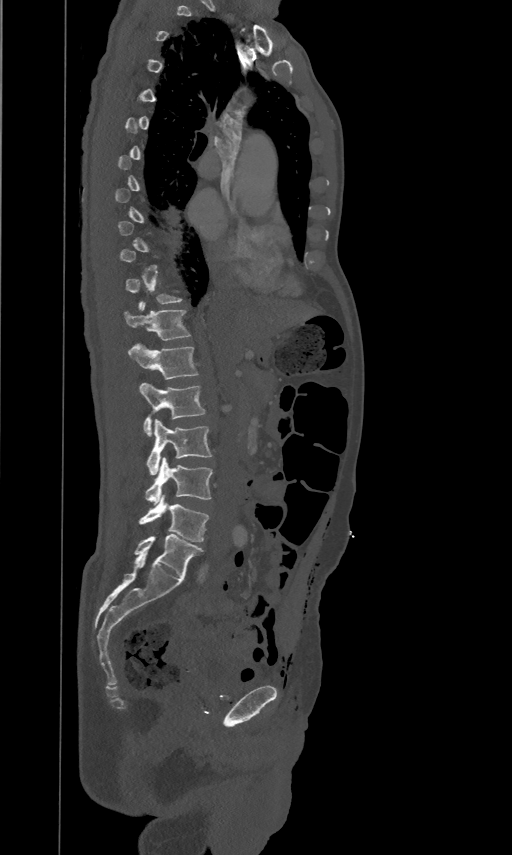
CT, spine. sagittal view. 512x855 px

Each box is [x1, y1, x2, y2] in pixels: top-left corner, then bottom-right corner.
A vertebra is boxed only from the first to the last slice where its cross-section is at least a third of its largest; slices outside that range leave it without a box.
{"vertebrae":{"T12":[124,302,190,339],"L1":[128,343,198,378],"L2":[140,382,205,435],"L3":[146,419,211,474],"L4":[145,457,212,504],"L5":[138,494,209,542]}}